CT. sagittal reformat. Bone window (WL 400, WW 1800). 10 vertebrae labeled in this scan
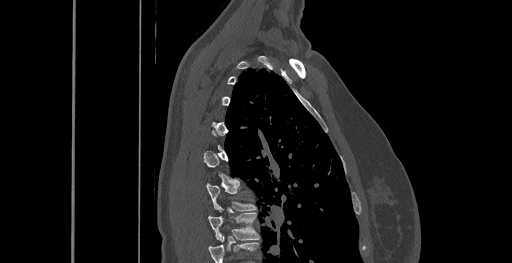

Each box is [x1, y1, x2, y2] in pixels: top-left corner, then bottom-right corner.
A vertebra is boxed only from the first to the last slice where its cross-section is at least a third of its largest; slices outside that range leave it without a box.
Labels in this scan begin with C6 at the top and end with T8 at the bottom.
{"vertebrae":{"T7":[206,184,257,211],"T8":[208,206,260,240]}}